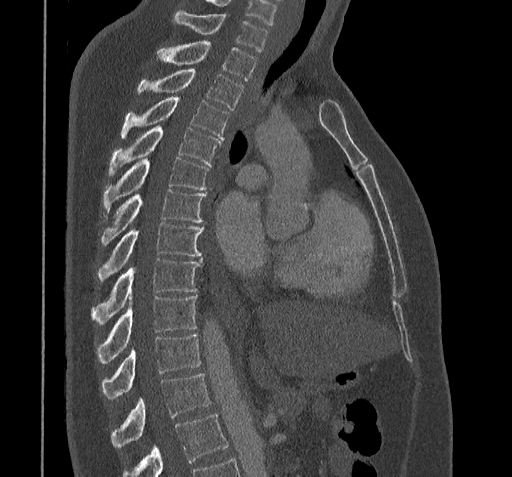

Spine CT · sagittal view · bone-window reconstruction
Boxes are given in columns x1, y1, x2, y2, the pixel coordinates of their top-left and bottom-right corners.
Where the bottom of the scan cuts through a vertebra, that vertebra gets no label or box.
| vertebra | x1 | y1 | x2 | y2 |
|---|---|---|---|---|
| T11 | 111 | 374 | 210 | 447 |
| T10 | 101 | 333 | 201 | 400 |
| T9 | 97 | 295 | 196 | 362 |
| T8 | 92 | 259 | 201 | 324 |
| T7 | 98 | 222 | 204 | 281 |
| T6 | 101 | 189 | 205 | 245 |
| T5 | 103 | 157 | 207 | 212 |
| T4 | 109 | 125 | 220 | 175 |
| T3 | 121 | 96 | 228 | 141 |
| T2 | 138 | 67 | 244 | 109 |
| T1 | 157 | 42 | 256 | 79 |
| C7 | 175 | 10 | 267 | 51 |